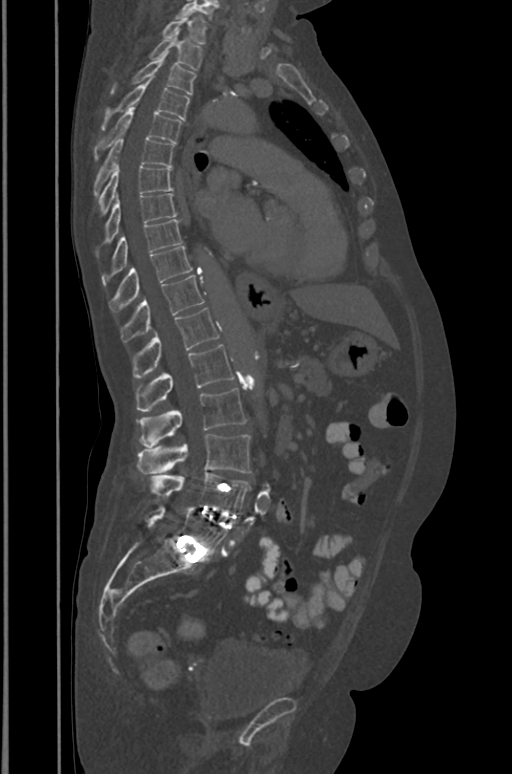 CT · sagittal view
Each vertebra maps to its box as [x1, y1, x2, y2], the pixel coordinates of its top-left and bottom-right corners.
{"vertebrae":{"T1":[161,12,207,44],"T2":[148,34,202,69],"T3":[110,53,195,95],"T4":[102,81,189,129],"T5":[94,107,181,159],"T6":[94,137,173,195],"T7":[99,165,172,213],"T8":[106,193,177,242],"T9":[102,219,182,284],"T10":[109,245,192,311],"T11":[120,275,205,342],"T12":[132,307,219,379],"L1":[136,344,233,411],"L2":[139,389,245,447],"L3":[136,434,250,474],"L4":[149,472,250,513],"L5":[143,505,227,555]}}